Spine CT · sagittal reformat · 443 mm image width
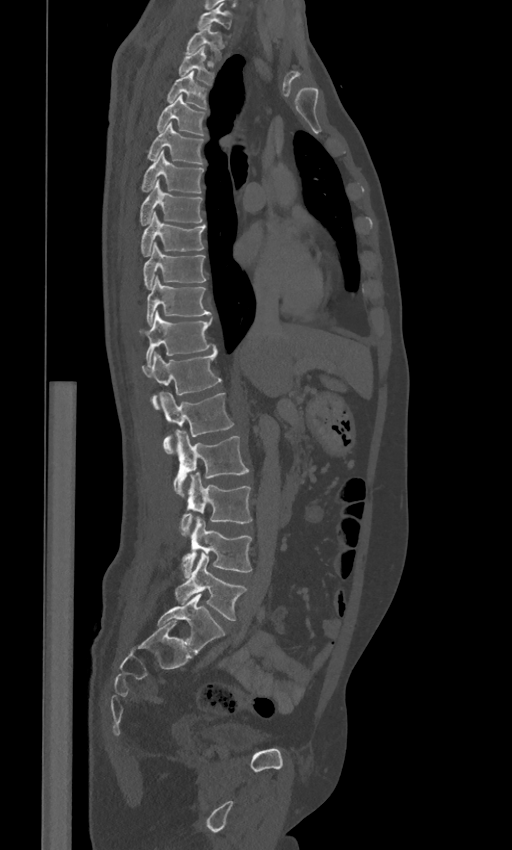

Boxes: x1 y1 x2 y2 (pixel coords, space-separated). The labels name a sixth lumbar vertebra for this spine: L6, after L5. 19 vertebrae labeled — C7 at 198 5 231 28; T1 at 186 24 227 58; T2 at 179 46 213 83; T3 at 168 71 207 109; T4 at 157 95 205 134; T5 at 148 122 203 163; T6 at 141 150 203 192; T7 at 140 180 202 225; T8 at 141 212 205 256; T9 at 143 242 206 288; T10 at 147 276 210 324; T11 at 140 310 212 364; T12 at 142 346 221 409; L1 at 159 392 234 454; L2 at 173 431 249 496; L3 at 179 472 252 536; L4 at 181 516 252 576; L5 at 175 553 246 620; L6 at 157 593 226 653.